CT. image 474 mm wide. Sagittal slice 295/512. W/L 1800/400 HU
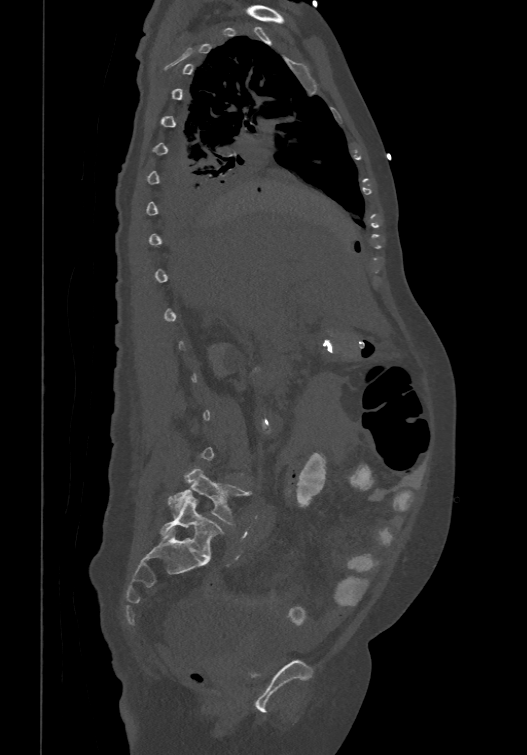
Each box given as x1,y1,x2,y2.
Not every vertebra on this slice has a box: a vertebra is boxed only from the first to the last slice where its cross-section is at least a third of its largest, and this slice is outside that range for at least one of them.
The labels name a sixth lumbar vertebra for this spine: L6, after L5.
Vertebra bounding boxes:
- L5: x1=168, y1=468, x2=248, y2=524
- L6: x1=159, y1=493, x2=223, y2=558